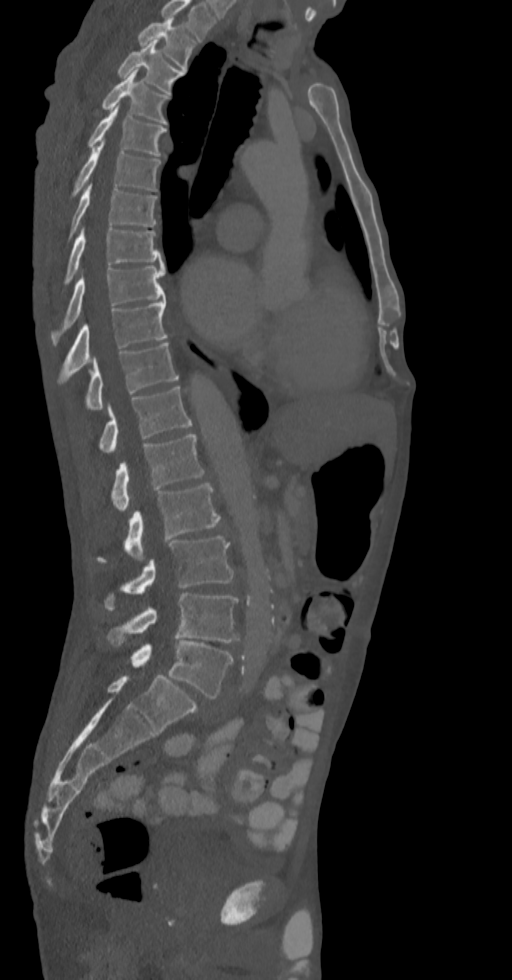

Spine computed tomography — sagittal view — 336 mm wide — W/L 1800/400 HU
Labels in this scan begin with T2 at the top and end with L5 at the bottom.
<vertebrae><v name="T2" x1="138" y1="18" x2="195" y2="69"/><v name="T3" x1="117" y1="40" x2="183" y2="93"/><v name="T4" x1="102" y1="70" x2="169" y2="124"/><v name="T5" x1="88" y1="105" x2="166" y2="156"/><v name="T6" x1="73" y1="142" x2="160" y2="194"/><v name="T7" x1="58" y1="183" x2="157" y2="243"/><v name="T8" x1="65" y1="226" x2="163" y2="284"/><v name="T9" x1="52" y1="267" x2="165" y2="343"/><v name="T10" x1="58" y1="299" x2="168" y2="383"/><v name="T11" x1="84" y1="343" x2="179" y2="409"/><v name="T12" x1="97" y1="386" x2="192" y2="453"/><v name="L1" x1="111" y1="434" x2="204" y2="511"/><v name="L2" x1="97" y1="483" x2="220" y2="563"/><v name="L3" x1="103" y1="536" x2="233" y2="610"/><v name="L4" x1="106" y1="593" x2="239" y2="642"/><v name="L5" x1="131" y1="640" x2="233" y2="698"/></vertebrae>